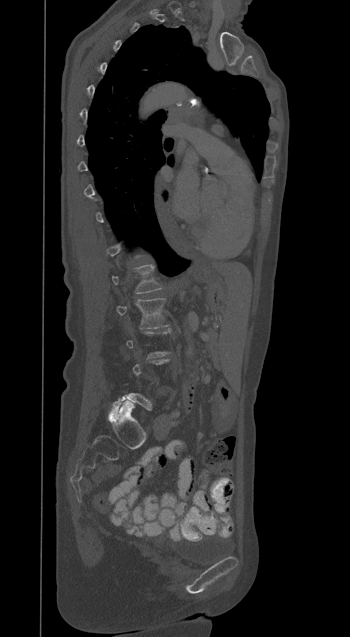

Computed tomography of the spine; sagittal view; 350 mm wide

Boxes are given in columns x1, y1, x2, y2, the pixel coordinates of their top-left and bottom-right corners.
Not every vertebra on this slice has a box: a vertebra is boxed only from the first to the last slice where its cross-section is at least a third of its largest, and this slice is outside that range for at least one of them.
| vertebra | x1 | y1 | x2 | y2 |
|---|---|---|---|---|
| L2 | 116 | 298 | 167 | 329 |
| L1 | 112 | 265 | 161 | 293 |